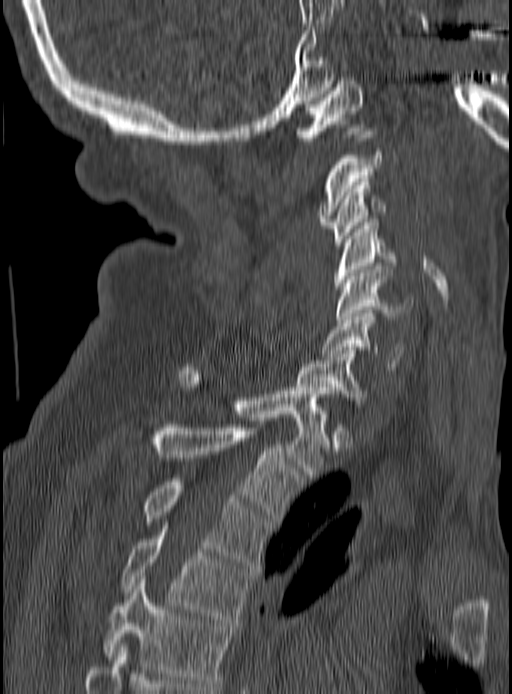
CT, spine; sagittal reformat; W/L 1800/400 HU; image width 190 mm

Box edges are left/top/right/bottom in pixels. 12 vertebrae labeled — C1 at left=294, top=81, right=364, bottom=140; C2 at left=319, top=152, right=383, bottom=228; C3 at left=330, top=182, right=386, bottom=245; C4 at left=335, top=222, right=396, bottom=289; C5 at left=335, top=266, right=413, bottom=322; C6 at left=321, top=310, right=406, bottom=370; C7 at left=297, top=350, right=369, bottom=403; T1 at left=179, top=364, right=326, bottom=477; T2 at left=149, top=424, right=302, bottom=521; T3 at left=144, top=478, right=272, bottom=565; T4 at left=119, top=529, right=253, bottom=622; T5 at left=103, top=579, right=232, bottom=686.